CT. sagittal plane, index 285. 512x919 px. the image is 149 mm wide
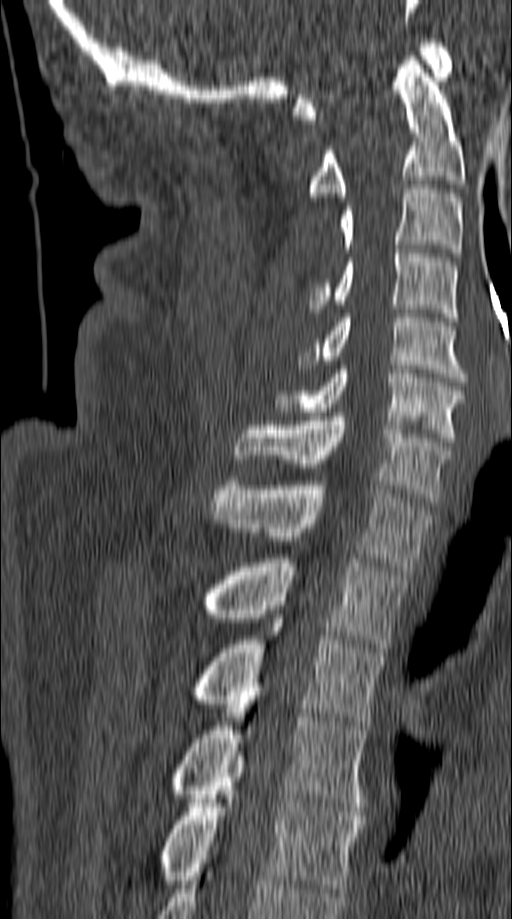

Each box is [x1, y1, x2, y2] in pixels: top-left corner, then bottom-right corner.
{"vertebrae":{"C1":[293,39,452,119],"C2":[310,56,464,197],"C3":[341,185,461,257],"C4":[310,249,457,321],"C5":[298,314,467,381],"C6":[275,365,464,441],"C7":[235,412,450,502],"T1":[211,481,433,570],"T2":[204,558,406,652],"T3":[192,619,385,725],"T4":[173,696,368,811],"T5":[162,756,363,892]}}